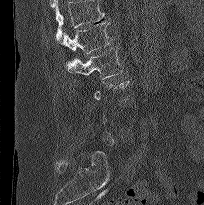 Spine CT. sagittal view
Each box is [x1, y1, x2, y2] in pixels: top-left corner, then bottom-right corner.
A vertebra gets a box only on the slices from the first to the last where its cross-section is at least a third of its largest; on a slice outside that range it gets none.
A vertebra cut off by the top edge of the scan is not labeled and has no box.
{"vertebrae":{"L2":[66,46,123,82],"L1":[61,20,113,53]}}